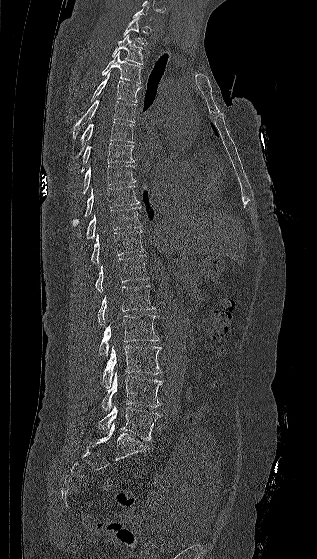

CT; the image is 317 mm wide; sagittal view; bone window
Not every vertebra on this slice has a box: a vertebra is boxed only from the first to the last slice where its cross-section is at least a third of its largest, and this slice is outside that range for at least one of them.
<vertebrae><v name="L5" x1="98" y1="405" x2="160" y2="441"/><v name="L4" x1="102" y1="371" x2="162" y2="412"/><v name="L3" x1="102" y1="345" x2="161" y2="388"/><v name="L2" x1="99" y1="314" x2="159" y2="359"/><v name="L1" x1="97" y1="285" x2="155" y2="327"/><v name="T12" x1="95" y1="255" x2="149" y2="292"/><v name="T11" x1="91" y1="231" x2="143" y2="264"/><v name="T10" x1="85" y1="205" x2="141" y2="239"/><v name="T9" x1="71" y1="185" x2="139" y2="225"/><v name="T8" x1="82" y1="165" x2="135" y2="194"/><v name="T7" x1="80" y1="143" x2="134" y2="173"/><v name="T6" x1="74" y1="121" x2="134" y2="159"/><v name="T5" x1="73" y1="100" x2="136" y2="138"/><v name="T4" x1="91" y1="72" x2="140" y2="102"/><v name="T3" x1="101" y1="52" x2="141" y2="83"/><v name="T2" x1="111" y1="35" x2="143" y2="64"/><v name="T1" x1="122" y1="17" x2="147" y2="44"/></vertebrae>